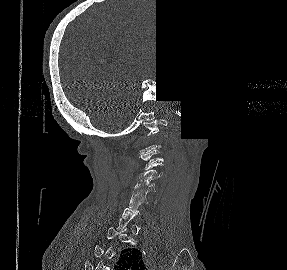 CT spine. sagittal view. bone window. a region of this slice is masked with a uniform fill

Boxes: x1 y1 x2 y2 (pixel coords, space-separated).
Each vertebra is boxed only on the slices from the first to the last where its cross-section reaches a third of its largest, so a slice outside that range leaves it unboxed.
Vertebra bounding boxes:
- C1: 143 119 167 136
- C3: 139 150 163 169
- C4: 139 170 162 180
- C5: 133 177 157 193
- C6: 129 191 148 205